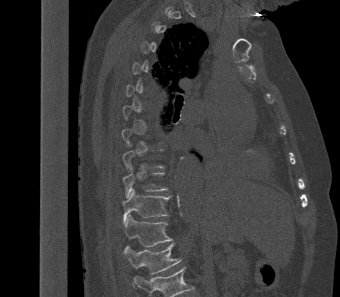

CT; sagittal view; W/L 1800/400 HU

Boxes: x1 y1 x2 y2 (pixel coords, space-separated). Each vertebra is boxed only on the slices from the first to the last where its cross-section reaches a third of its largest, so a slice outside that range leaves it unboxed. This scan's labels start at T2 at the top and end at L1 at the bottom. The labeled vertebrae in this slice are: T10 at 122 167 167 197, T11 at 122 188 170 226, T12 at 123 214 172 246, L1 at 123 243 181 274.